Spine computed tomography · 500 mm wide · Sagittal slice 241/512 · 512x323 px
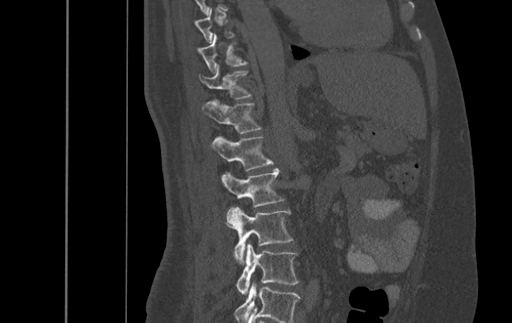
Boxes are (x1, y1, x2, y2) in pixels.
A vertebra gets a box only on the slices from the first to the last where its cross-section is at least a third of its largest; on a slice outside that range it gets none.
Labels in this scan begin with T9 at the top and end with L4 at the bottom.
Vertebra bounding boxes:
- T10: (197, 34, 247, 72)
- T11: (199, 63, 250, 98)
- T12: (202, 99, 261, 133)
- L1: (211, 136, 273, 171)
- L2: (221, 168, 284, 207)
- L3: (226, 207, 293, 262)
- L4: (237, 243, 298, 294)